Spine computed tomography. sagittal plane, index 43. 331 mm wide
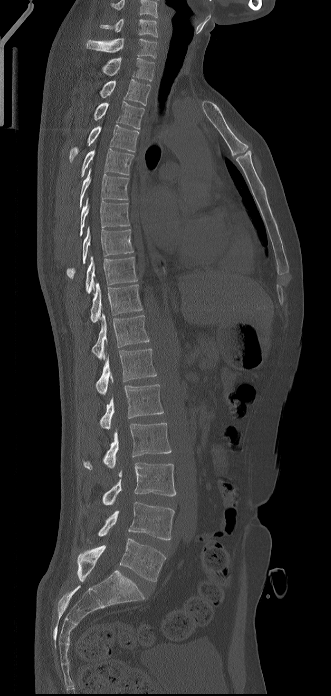

The highest labeled vertebra in this scan is C6; the lowest is L5.
<vertebrae><v name="L5" x1="77" y1="538" x2="165" y2="581"/><v name="L4" x1="98" y1="502" x2="174" y2="540"/><v name="L3" x1="102" y1="462" x2="175" y2="505"/><v name="L2" x1="83" y1="423" x2="171" y2="469"/><v name="L1" x1="99" y1="384" x2="163" y2="429"/><v name="T12" x1="95" y1="348" x2="156" y2="394"/><v name="T11" x1="91" y1="314" x2="149" y2="359"/><v name="T10" x1="90" y1="283" x2="142" y2="322"/><v name="T9" x1="85" y1="256" x2="137" y2="293"/><v name="T8" x1="66" y1="227" x2="133" y2="278"/><v name="T7" x1="80" y1="197" x2="129" y2="235"/><v name="T6" x1="80" y1="168" x2="128" y2="208"/><v name="T5" x1="80" y1="148" x2="133" y2="177"/><v name="T4" x1="69" y1="124" x2="138" y2="162"/><v name="T3" x1="94" y1="101" x2="144" y2="129"/><v name="T2" x1="99" y1="79" x2="150" y2="105"/><v name="T1" x1="102" y1="57" x2="154" y2="81"/><v name="C7" x1="86" y1="38" x2="157" y2="58"/><v name="C6" x1="100" y1="18" x2="157" y2="37"/></vertebrae>